CT spine. 197 mm wide. sagittal plane, index 91. 9 vertebrae labeled in this scan. part of the image has been replaced by a constant value
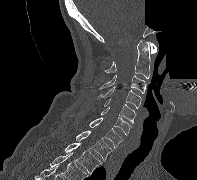
<vertebrae><v name="T2" x1="65" y1="142" x2="101" y2="173"/><v name="T1" x1="75" y1="130" x2="112" y2="159"/><v name="C7" x1="89" y1="117" x2="123" y2="148"/><v name="C6" x1="100" y1="107" x2="131" y2="135"/><v name="C5" x1="103" y1="99" x2="136" y2="123"/><v name="C4" x1="97" y1="86" x2="141" y2="108"/><v name="C3" x1="99" y1="75" x2="146" y2="93"/><v name="C2" x1="104" y1="39" x2="150" y2="78"/><v name="C1" x1="149" y1="42" x2="156" y2="53"/></vertebrae>